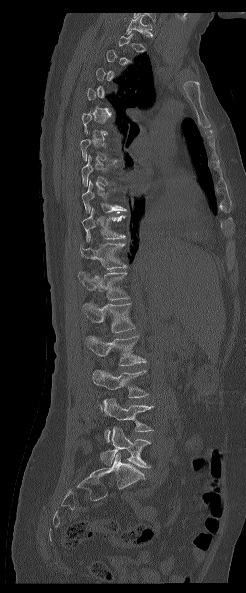 CT spine; sagittal reformat; W/L 1800/400 HU
Boxes are given in columns x1, y1, x2, y2, the pixel coordinates of their top-left and bottom-right corners.
A vertebra gets a box only on the slices from the first to the last where its cross-section is at least a third of its largest; on a slice outside that range it gets none.
In this scan, the topmost labeled vertebra is T1 and the lowest is L5.
| vertebra | x1 | y1 | x2 | y2 |
|---|---|---|---|---|
| T1 | 125 | 15 | 151 | 35 |
| T9 | 82 | 181 | 125 | 213 |
| T10 | 82 | 207 | 126 | 242 |
| T11 | 80 | 243 | 127 | 269 |
| T12 | 78 | 271 | 129 | 300 |
| L1 | 83 | 302 | 135 | 332 |
| L2 | 86 | 335 | 146 | 365 |
| L3 | 92 | 370 | 148 | 411 |
| L4 | 103 | 398 | 153 | 443 |
| L5 | 100 | 426 | 150 | 467 |